Spine CT; sagittal view; the image is 222 mm wide; 17 vertebrae labeled in this scan
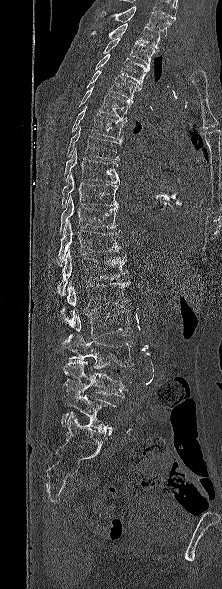 Coordinates as <box>x1,y1,x2,y2</box>.
This scan's labels start at T1 at the top and end at L5 at the bottom.
T1: <box>91,23,160,51</box>
T2: <box>103,37,155,66</box>
T3: <box>95,54,149,85</box>
T4: <box>86,70,141,101</box>
T5: <box>75,87,132,121</box>
T6: <box>71,105,124,140</box>
T7: <box>67,126,121,160</box>
T8: <box>63,148,119,183</box>
T9: <box>61,173,118,208</box>
T10: <box>60,195,117,234</box>
T11: <box>56,221,122,266</box>
T12: <box>58,250,128,295</box>
L1: <box>67,281,130,313</box>
L2: <box>61,306,131,338</box>
L3: <box>62,333,133,368</box>
L4: <box>63,359,132,399</box>
L5: <box>57,386,117,434</box>